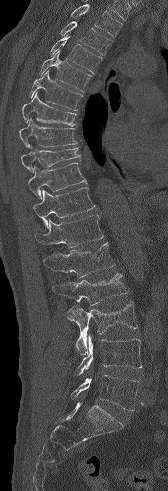
Spine computed tomography — sagittal reformat — 168x491 px
Vertebrae that run past the top of the scan are left unlabeled.
<vertebrae><v name="T3" x1="60" y1="21" x2="112" y2="55"/><v name="T4" x1="50" y1="34" x2="102" y2="73"/><v name="T5" x1="39" y1="51" x2="92" y2="91"/><v name="T6" x1="30" y1="70" x2="82" y2="110"/><v name="T7" x1="22" y1="92" x2="76" y2="125"/><v name="T8" x1="19" y1="118" x2="77" y2="148"/><v name="T9" x1="21" y1="147" x2="80" y2="172"/><v name="T10" x1="28" y1="163" x2="87" y2="199"/><v name="T11" x1="32" y1="187" x2="95" y2="228"/><v name="T12" x1="34" y1="215" x2="103" y2="247"/><v name="L1" x1="43" y1="242" x2="114" y2="277"/><v name="L2" x1="52" y1="273" x2="127" y2="305"/><v name="L3" x1="66" y1="302" x2="137" y2="354"/><v name="L4" x1="75" y1="335" x2="141" y2="375"/><v name="L5" x1="71" y1="375" x2="139" y2="410"/></vertebrae>